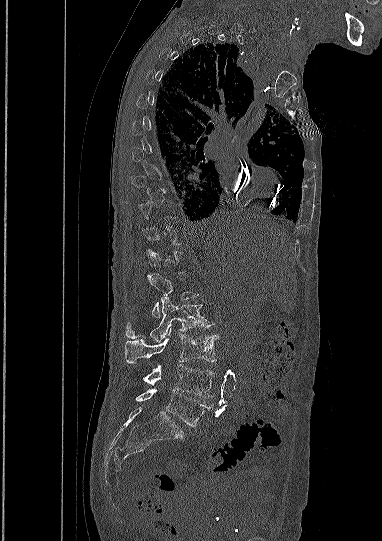 CT · sagittal view
Each box given as x1,y1,x2,y2.
A vertebra is boxed only from the first to the last slice where its cross-section is at least a third of its largest; slices outside that range leave it without a box.
L1: x1=148, y1=273, x2=197, y2=318
L2: x1=126, y1=297, x2=211, y2=341
L3: x1=124, y1=328, x2=217, y2=362
L4: x1=143, y1=364, x2=214, y2=397
L5: x1=136, y1=388, x2=211, y2=426